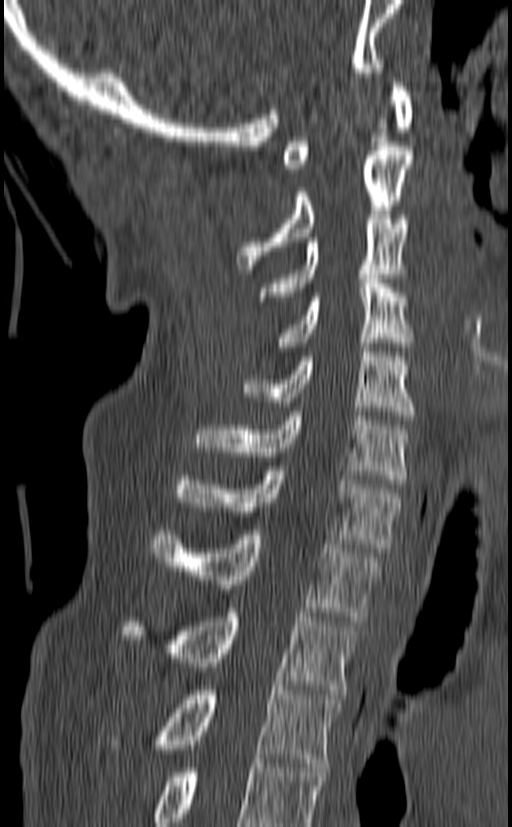
Spine computed tomography; 140 mm wide; sagittal reformat; 512x827 px
Boxes: x1:y1:x2:y2 in pixels.
Labels in this scan begin with C1 at the top and end with T3 at the bottom.
Vertebra bounding boxes:
- C1: 283:82:414:173
- C2: 235:146:414:269
- C3: 259:215:408:301
- C4: 279:274:414:346
- C5: 242:347:417:420
- C6: 192:411:410:484
- C7: 173:466:403:552
- T1: 151:530:381:621
- T2: 122:608:359:694
- T3: 103:686:340:767